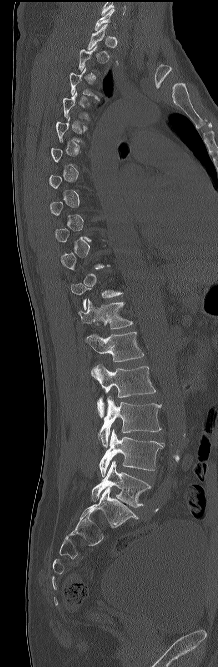

Spine computed tomography; sagittal view; 218x667 px
Box edges are left/top/right/bottom in pixels.
A vertebra gets a box only on the slices from the first to the last where its cross-section is at least a third of its largest; on a slice outside that range it gets none.
Vertebra bounding boxes:
- L5: left=91, top=460, right=151, bottom=507
- L4: left=99, top=429, right=165, bottom=476
- L3: left=97, top=396, right=161, bottom=447
- L2: left=91, top=364, right=155, bottom=417
- L1: left=85, top=332, right=143, bottom=361
- T12: left=78, top=298, right=132, bottom=328